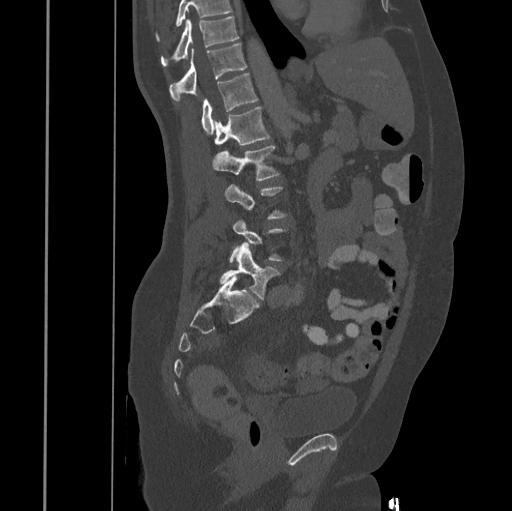 CT spine · sagittal view · 445 mm image width · 512x511 px
Bounding boxes as [x1, y1, x2, y2] in pixel coordinates. A vertebra is boxed only from the first to the last slice where its cross-section is at least a third of its largest; slices outside that range leave it without a box. Where the top of the scan cuts through a vertebra, that vertebra gets no label or box. 7 vertebrae labeled — T10 at [161, 16, 238, 66]; T11 at [169, 43, 246, 100]; T12 at [201, 74, 258, 134]; L1 at [214, 107, 269, 145]; L2 at [213, 145, 280, 180]; L3 at [225, 184, 287, 219]; L5 at [220, 242, 280, 299].